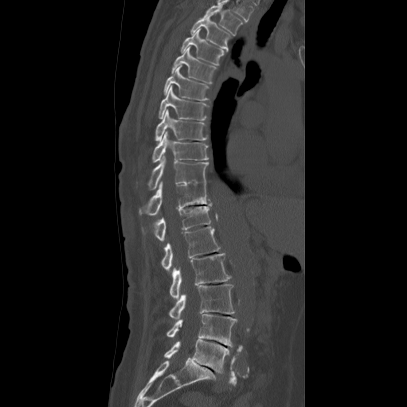 Computed tomography of the spine; sagittal view; image 407 mm wide
Boxes: x1 y1 x2 y2 (pixel coords, space-separated). 16 vertebrae labeled — T2 at 199 1 242 35; T3 at 190 15 231 50; T4 at 180 29 224 65; T5 at 171 45 216 83; T6 at 163 65 208 100; T7 at 158 85 206 120; T8 at 155 108 206 142; T9 at 152 131 208 162; T10 at 148 155 208 190; T11 at 138 181 212 214; T12 at 142 205 212 241; L1 at 161 226 220 271; L2 at 169 253 230 300; L3 at 169 284 235 320; L4 at 166 314 236 346; L5 at 164 339 228 373.